Spine CT — sagittal reformat
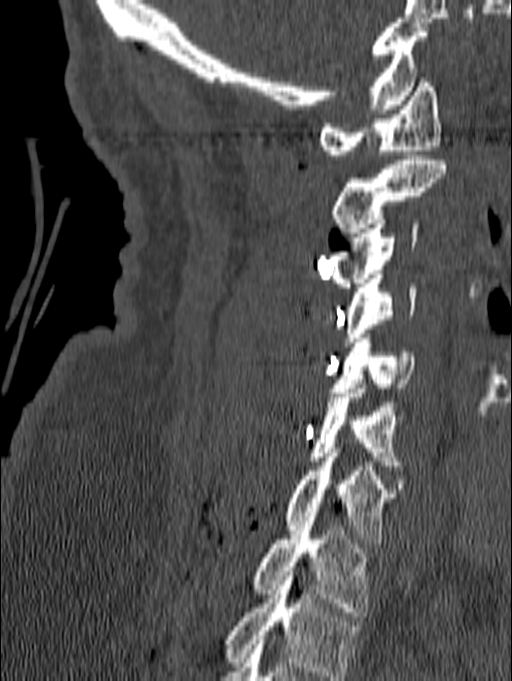 Coordinates as <box>x1,y1,x2,y2</box>.
This scan's labels start at C1 at the top and end at T1 at the bottom.
T1: <box>254,521,369,616</box>
C7: <box>284,448,395,543</box>
C6: <box>308,384,408,470</box>
C5: <box>330,334,414,392</box>
C4: <box>343,270,416,346</box>
C3: <box>326,219,419,287</box>
C2: <box>331,155,446,237</box>
C1: <box>319,78,441,159</box>